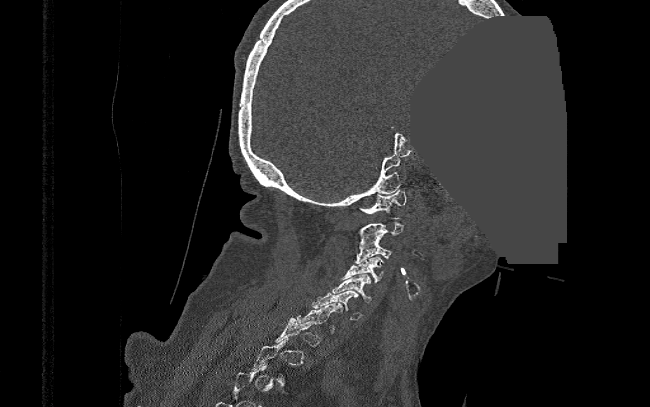
Computed tomography of the spine; 390 mm wide; sagittal view; Bone window (WL 400, WW 1800); a region is masked with a constant gray value
Boxes are given in columns x1, y1, x2, y2, the pixel coordinates of their top-left and bottom-right corners.
A vertebra is boxed only from the first to the last slice where its cross-section is at least a third of its largest; slices outside that range leave it without a box.
| vertebra | x1 | y1 | x2 | y2 |
|---|---|---|---|---|
| C1 | 358 | 190 | 405 | 218 |
| C2 | 355 | 221 | 404 | 246 |
| C3 | 354 | 240 | 393 | 263 |
| C4 | 343 | 256 | 382 | 282 |
| C5 | 333 | 274 | 372 | 301 |
| C6 | 311 | 290 | 362 | 319 |
| C7 | 296 | 303 | 343 | 331 |